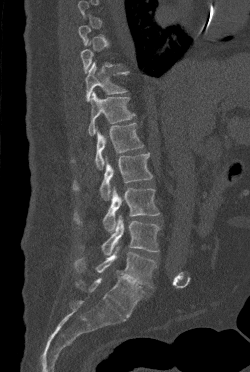 CT spine — sagittal view
Not every vertebra on this slice has a box: a vertebra is boxed only from the first to the last slice where its cross-section is at least a third of its largest, and this slice is outside that range for at least one of them.
<vertebrae><v name="T11" x1="85" y1="62" x2="128" y2="101"/><v name="T12" x1="88" y1="92" x2="135" y2="135"/><v name="L1" x1="95" y1="122" x2="143" y2="170"/><v name="L2" x1="73" y1="153" x2="152" y2="200"/><v name="L3" x1="74" y1="186" x2="160" y2="232"/><v name="L4" x1="101" y1="215" x2="160" y2="255"/><v name="L5" x1="75" y1="246" x2="156" y2="287"/></vertebrae>